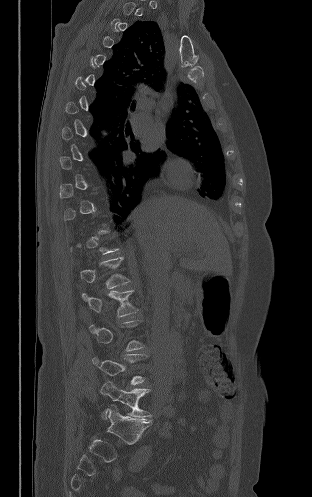 CT, spine — sagittal reformat — 312x497 px — 312 mm wide

Box values are [left, top, right, bottom] in pixels.
Each vertebra is boxed only on the slices from the first to the last where its cross-section reaches a third of its largest, so a slice outside that range leaves it unboxed.
{"vertebrae":{"L1":[80,257,129,288],"L2":[82,290,138,317],"L4":[92,354,145,385],"L5":[100,381,151,419]}}